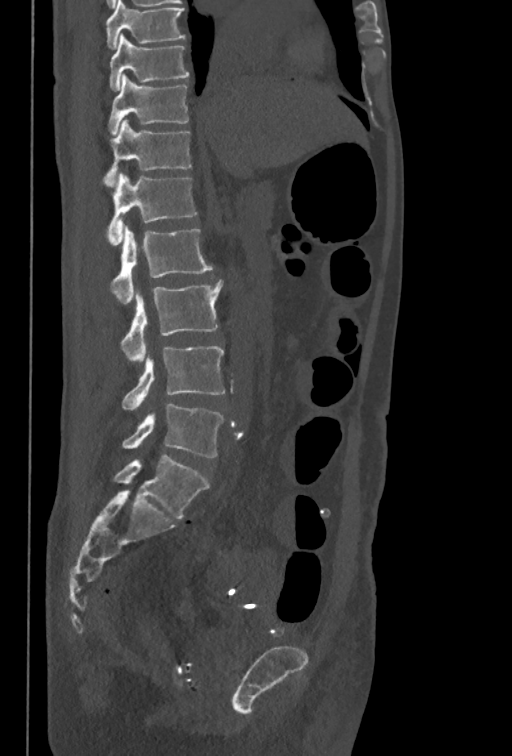

Computed tomography of the spine; sagittal view; bone window; 512x756 px
Box edges are left/top/right/bottom in pixels. In this scan, the topmost labeled vertebra is T10 and the lowest is L5. The labeled vertebrae in this slice are: T10 at left=109, top=34, right=189, bottom=91, T11 at left=108, top=74, right=189, bottom=135, T12 at left=103, top=120, right=192, bottom=186, L1 at left=108, top=174, right=196, bottom=245, L2 at left=111, top=224, right=212, bottom=303, L3 at left=120, top=279, right=223, bottom=361, L4 at left=122, top=346, right=226, bottom=410, L5 at left=121, top=403, right=223, bottom=457.